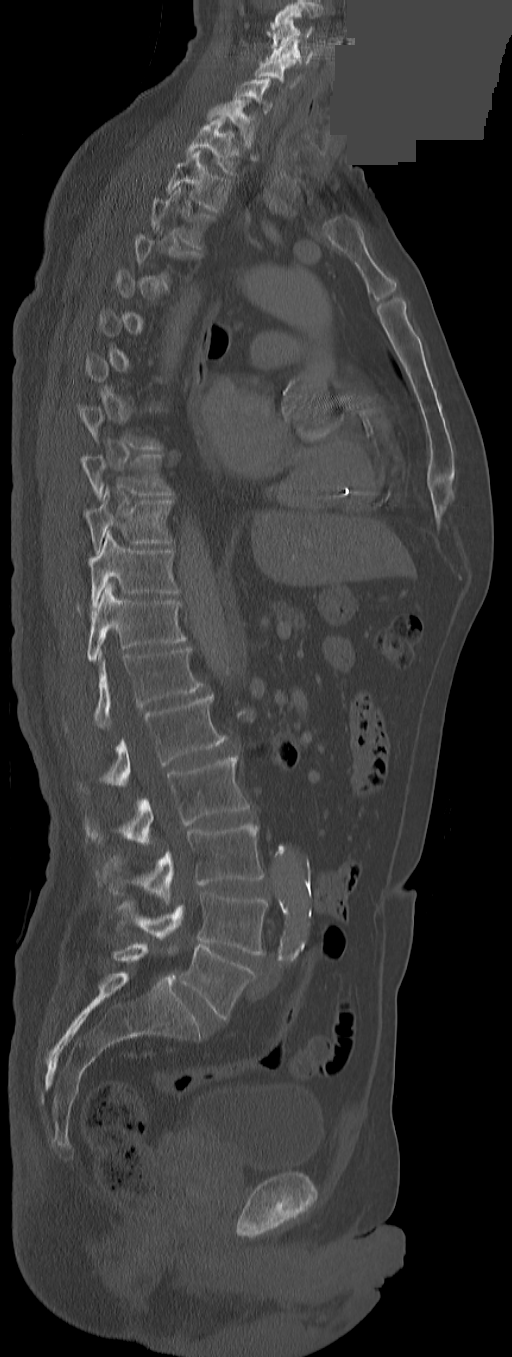

CT, spine. sagittal view. 291 mm across the image. W/L 1800/400 HU. part of the image has been replaced by a constant value
Boxes: x1 y1 x2 y2 (pixel coords, space-separated). A vertebra is boxed only from the first to the last slice where its cross-section is at least a third of its largest; slices outside that range leave it without a box. In this scan, the topmost labeled vertebra is C3 and the lowest is L5. The labels name an extra thoracic vertebra here, T13, which comes after T12 and before L1. Vertebrae labeled: C3 at 267 19 311 47, C4 at 265 38 312 64, C5 at 255 57 300 87, C6 at 233 78 272 114, C7 at 207 98 256 147, T1 at 186 116 240 174, T2 at 166 149 230 211, T3 at 150 187 211 248, T9 at 81 454 172 499, T10 at 85 488 172 554, T11 at 88 532 179 608, T12 at 87 584 186 661, T13 at 94 648 203 728, L1 at 80 694 226 790, L2 at 85 755 249 844, L3 at 104 824 263 904, L4 at 117 893 267 955, L5 at 168 946 255 1018.